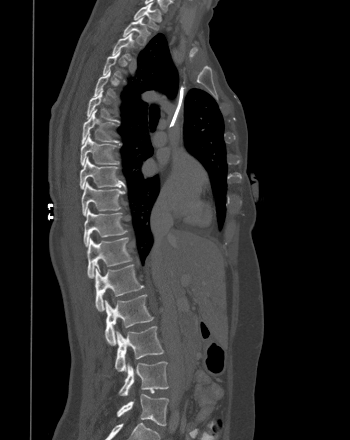 CT spine — sagittal view. Each box given as x1,y1,x2,y2.
Each vertebra is boxed only on the slices from the first to the last where its cross-section reaches a third of its largest, so a slice outside that range leaves it unboxed.
| vertebra | x1 | y1 | x2 | y2 |
|---|---|---|---|---|
| L5 | 117 | 394 | 168 | 426 |
| L4 | 119 | 361 | 168 | 395 |
| L3 | 115 | 326 | 163 | 371 |
| L2 | 105 | 295 | 153 | 345 |
| L1 | 95 | 264 | 143 | 311 |
| T12 | 87 | 237 | 131 | 277 |
| T11 | 83 | 208 | 127 | 246 |
| T10 | 81 | 181 | 124 | 215 |
| T9 | 79 | 156 | 123 | 189 |
| T8 | 80 | 133 | 118 | 166 |
| T7 | 81 | 109 | 117 | 144 |
| T6 | 87 | 88 | 117 | 121 |
| T3 | 112 | 32 | 133 | 60 |
| T2 | 123 | 17 | 149 | 44 |
| T1 | 134 | 2 | 161 | 29 |